Computed tomography of the spine — sagittal view — image 157 mm wide — bone-window reconstruction — 512x929 px — scan covers 13 annotated vertebrae
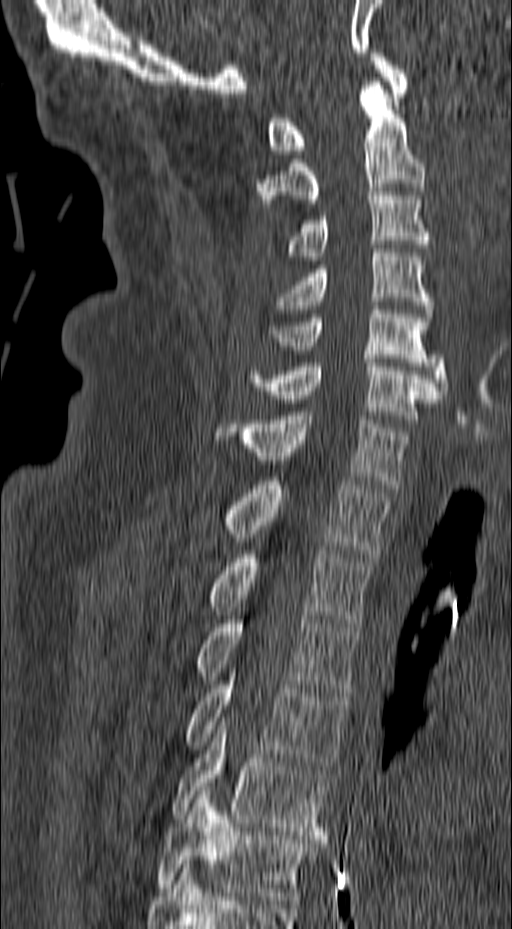
Boxes: x1 y1 x2 y2 (pixel coords, space-separated). The labeled vertebrae in this slice are: T6 at 155 791 313 904, T5 at 170 717 330 839, T4 at 185 669 349 769, T3 at 196 616 359 696, T2 at 210 546 372 627, T1 at 226 477 391 557, C7 at 217 412 411 488, C6 at 247 359 440 423, C5 at 269 306 448 394, C4 at 274 249 433 317, C3 at 285 188 437 260, C2 at 256 82 425 207, C1 at 266 53 408 154.